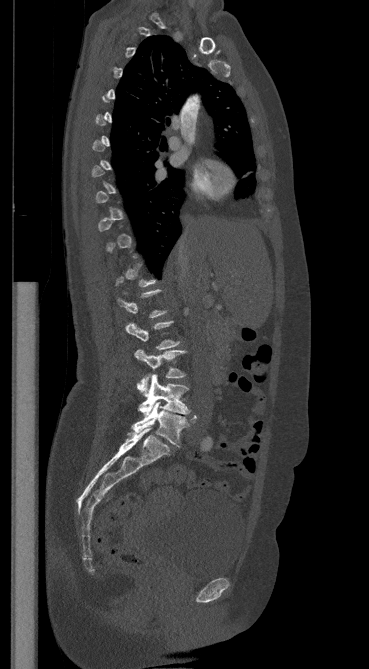

CT spine; sagittal view; bone window
Boxes: x1 y1 x2 y2 (pixel coords, space-separated). Not every vertebra on this slice has a box: a vertebra is boxed only from the first to the last slice where its cross-section is at least a third of its largest, and this slice is outside that range for at least one of them. 4 vertebrae labeled — L5 at 132 401 196 446; L4 at 138 374 189 415; L3 at 134 349 185 393; L2 at 125 321 179 349.